CT, spine — the image spans 363 mm across — sagittal plane, index 268
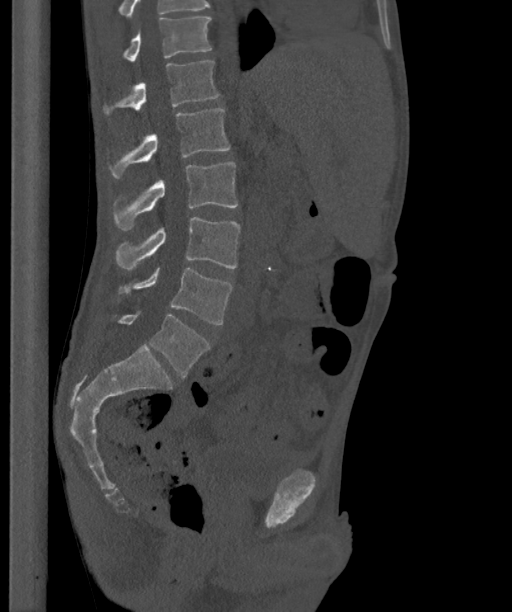

Each box given as x1,y1,x2,y2. Labels in this scan begin with T12 at the top and end with L6 at the bottom. The labels name a sixth lumbar vertebra for this spine: L6, after L5. Vertebrae labeled: T12 at x1=123, y1=17, x2=212, y2=61, L1 at x1=103, y1=61, x2=219, y2=115, L2 at x1=108, y1=108, x2=230, y2=178, L3 at x1=113, y1=162, x2=237, y2=230, L4 at x1=115, y1=217, x2=240, y2=271, L5 at x1=117, y1=268, x2=232, y2=324, L6 at x1=115, y1=311, x2=209, y2=377.